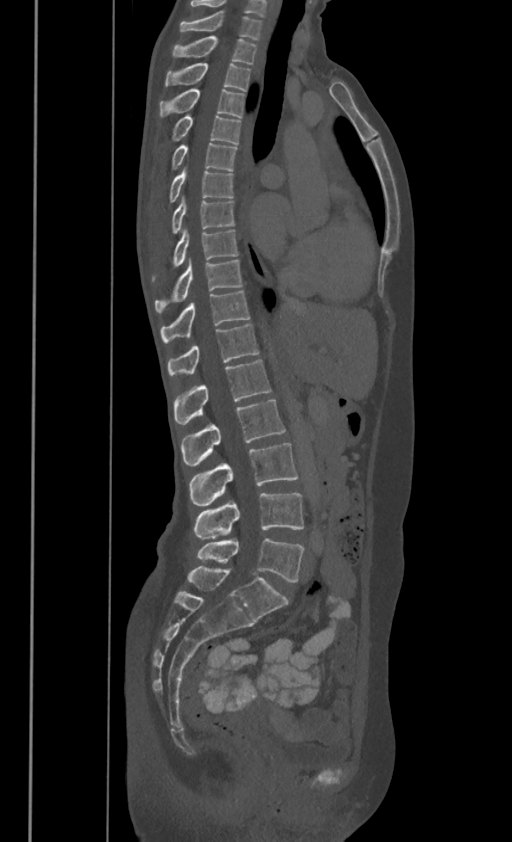 Spine computed tomography — sagittal view
In these labels the thoracic vertebrae end at T11, so L1 follows T11.
<vertebrae><v name="C7" x1="180" y1="8" x2="261" y2="38"/><v name="T1" x1="172" y1="35" x2="256" y2="63"/><v name="T2" x1="166" y1="62" x2="250" y2="90"/><v name="T3" x1="159" y1="87" x2="244" y2="117"/><v name="T4" x1="172" y1="113" x2="240" y2="143"/><v name="T5" x1="172" y1="142" x2="236" y2="170"/><v name="T6" x1="170" y1="167" x2="232" y2="202"/><v name="T7" x1="172" y1="195" x2="234" y2="232"/><v name="T8" x1="152" y1="228" x2="238" y2="277"/><v name="T9" x1="155" y1="258" x2="242" y2="311"/><v name="T10" x1="160" y1="290" x2="250" y2="340"/><v name="T11" x1="168" y1="324" x2="259" y2="374"/><v name="L1" x1="174" y1="359" x2="271" y2="424"/><v name="L2" x1="182" y1="398" x2="285" y2="466"/><v name="L3" x1="190" y1="443" x2="297" y2="505"/><v name="L4" x1="193" y1="493" x2="304" y2="539"/><v name="L5" x1="197" y1="538" x2="304" y2="582"/></vertebrae>